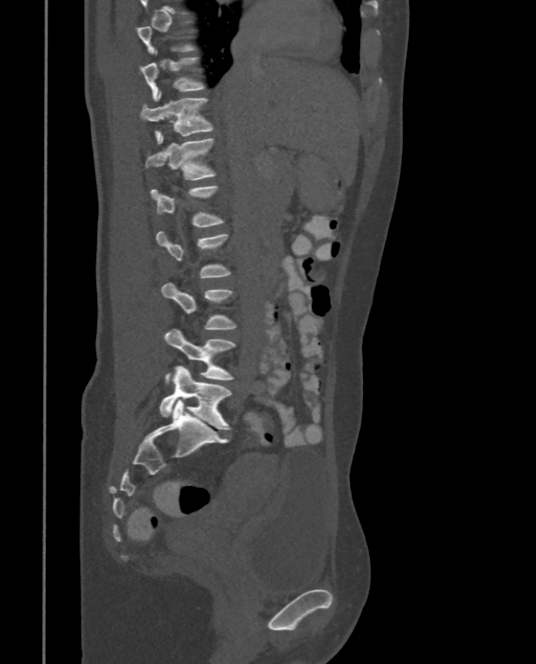
Computed tomography of the spine; sagittal view
A vertebra is boxed only from the first to the last slice where its cross-section is at least a third of its largest; slices outside that range leave it without a box.
<vertebrae><v name="T10" x1="140" y1="50" x2="204" y2="101"/><v name="T11" x1="140" y1="91" x2="213" y2="144"/><v name="T12" x1="145" y1="134" x2="216" y2="180"/><v name="L1" x1="150" y1="186" x2="225" y2="227"/><v name="L2" x1="156" y1="231" x2="230" y2="277"/><v name="L3" x1="161" y1="281" x2="235" y2="329"/><v name="L4" x1="164" y1="328" x2="235" y2="380"/><v name="L5" x1="160" y1="366" x2="231" y2="429"/></vertebrae>